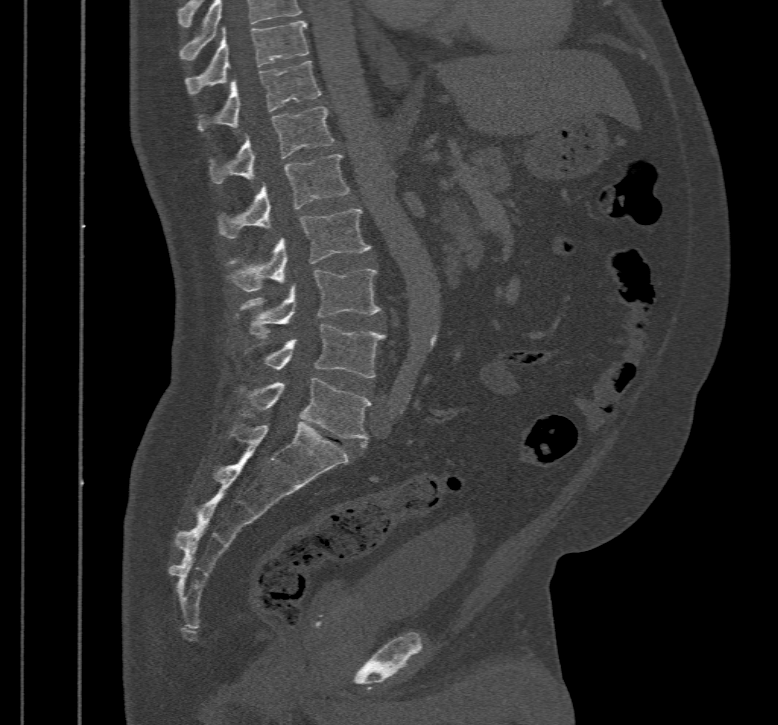

Spine computed tomography · sagittal view · W/L 1800/400 HU
Boxes: x1 y1 x2 y2 (pixel coords, space-separated).
The highest labeled vertebra in this scan is T10; the lowest is L5.
Vertebra bounding boxes:
- L5: 239 377 370 447
- L4: 263 324 385 378
- L3: 236 268 381 338
- L2: 225 209 370 291
- L1: 216 154 349 239
- T12: 208 105 333 183
- T11: 196 60 321 131
- T10: 185 20 309 94